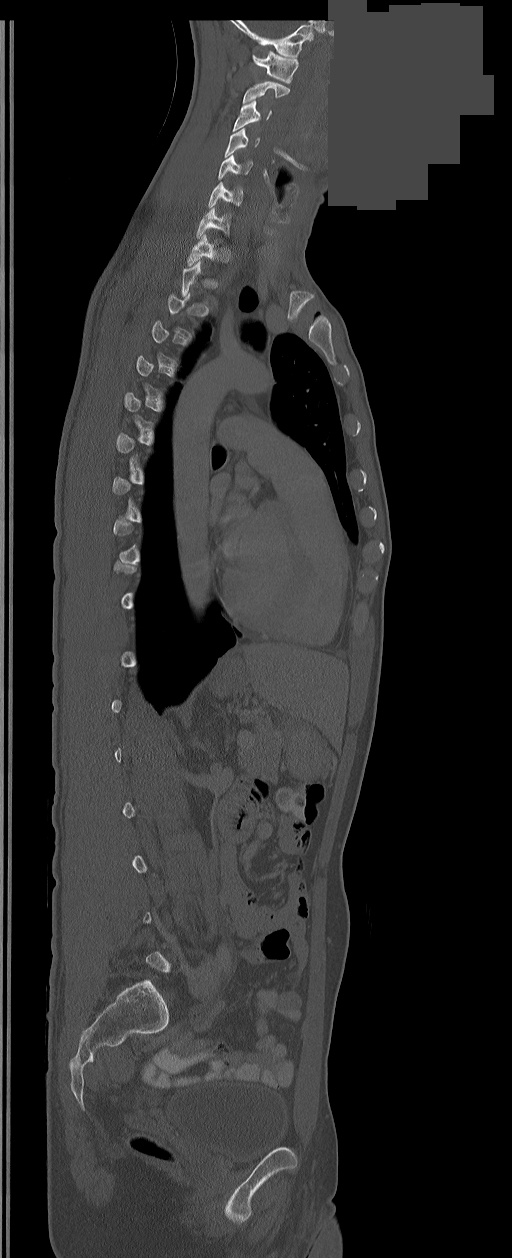 CT. the image is 350 mm wide. sagittal view. a portion of the image is blanked out (constant pixel value). Coordinates as <box>x1,y1,x2,y2</box>. A vertebra is boxed only from the first to the last slice where its cross-section is at least a third of its largest; slices outside that range leave it without a box. The labeled vertebrae in this slice are: C1 at <box>252,51,298,83</box>, C2 at <box>243,81,289,103</box>, C3 at <box>233,100,271,131</box>, C4 at <box>224,129,260,157</box>, C5 at <box>218,154,252,179</box>, C6 at <box>208,182,242,207</box>, C7 at <box>196,208,230,238</box>, T1 at <box>187,234,214,265</box>.